CT. sagittal reformat. W/L 1800/400 HU. scan covers 16 annotated vertebrae
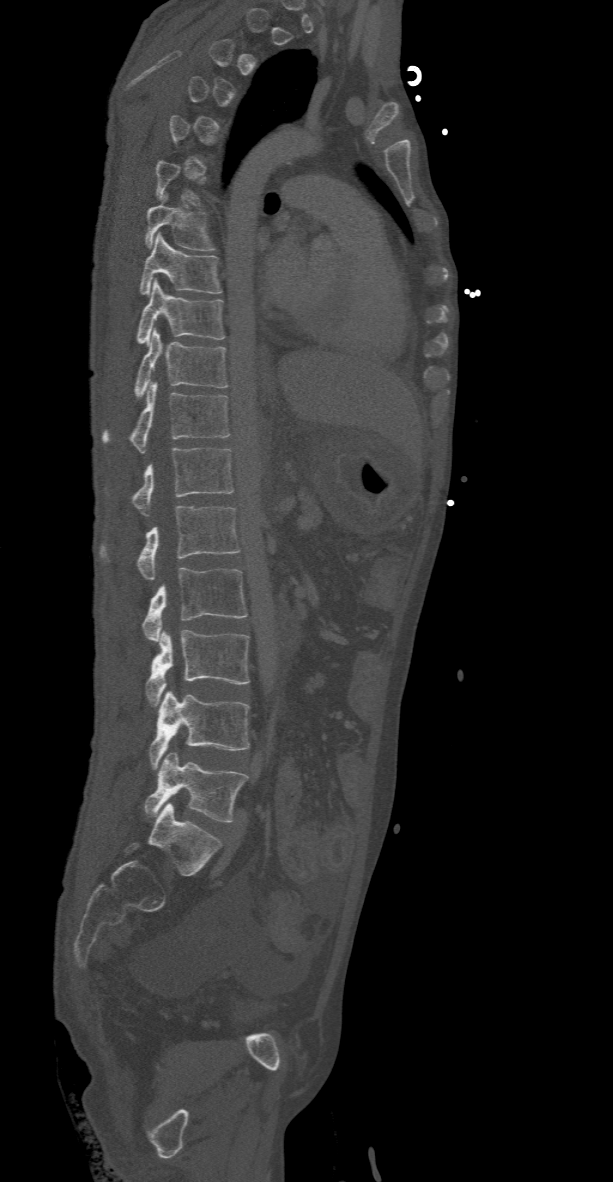
Boxes below are [x1, y1, x2, y2] in pixels.
A vertebra gets a box only on the slices from the first to the last where its cross-section is at least a third of its largest; on a slice outside that range it gets none.
{"vertebrae":{"T7":[145,196,216,250],"T8":[140,232,222,295],"T9":[137,279,224,345],"T10":[133,329,229,398],"T11":[102,382,230,453],"T12":[132,447,234,515],"L1":[99,506,241,580],"L2":[141,567,247,641],"L3":[145,631,248,705],"L4":[149,691,248,768],"L5":[143,752,248,821]}}